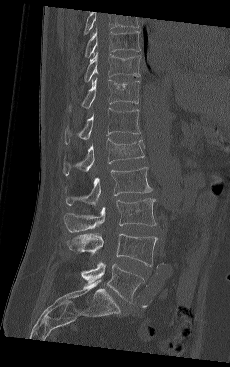
Computed tomography of the spine. sagittal view. 230x367 px. Each box given as x1,y1,x2,y2.
The highest labeled vertebra in this scan is T9; the lowest is L5.
| vertebra | x1 | y1 | x2 | y2 |
|---|---|---|---|---|
| L5 | 81 | 262 | 144 | 302 |
| L4 | 67 | 233 | 157 | 266 |
| L3 | 64 | 198 | 156 | 232 |
| L2 | 64 | 167 | 152 | 206 |
| L1 | 63 | 138 | 144 | 175 |
| T12 | 64 | 108 | 140 | 144 |
| T11 | 68 | 78 | 139 | 111 |
| T10 | 83 | 52 | 141 | 82 |
| T9 | 84 | 28 | 141 | 57 |